CT spine — sagittal reformat — image width 361 mm — bone window
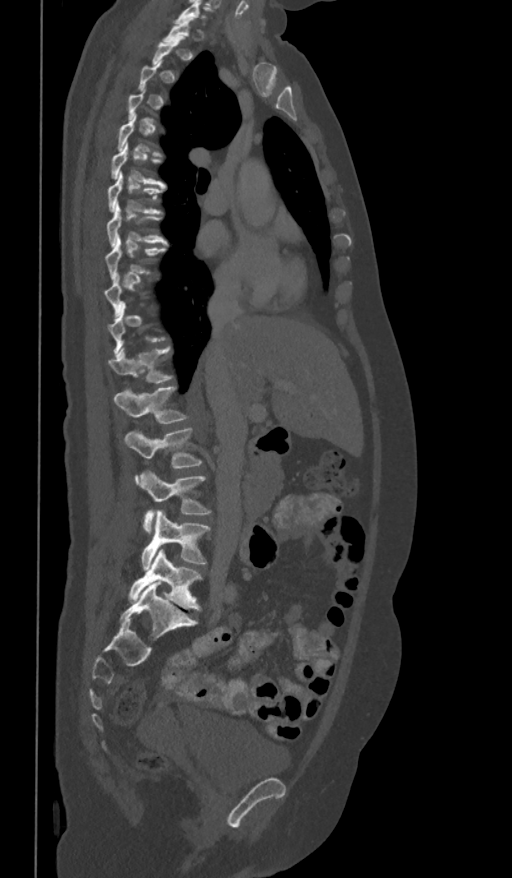
Boxes below are [x1, y1, x2, y2] in pixels.
A vertebra gets a box only on the slices from the first to the last where its cross-section is at least a third of its largest; on a slice outside that range it gets none.
{"vertebrae":{"T6":[110,142,166,185],"T7":[108,172,166,213],"T8":[106,204,168,247],"T9":[105,237,166,280],"T12":[108,346,175,382],"L1":[113,387,189,424],"L2":[125,428,203,483],"L3":[140,470,212,534],"L4":[142,511,210,570],"L5":[129,549,203,610]}}